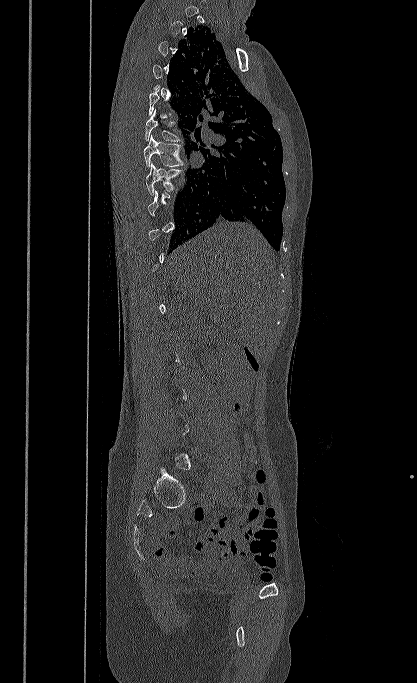 CT · sagittal view · 417 mm wide. Boxes are given in columns x1, y1, x2, y2, the pixel coordinates of their top-left and bottom-right corners.
A vertebra is boxed only from the first to the last slice where its cross-section is at least a third of its largest; slices outside that range leave it without a box.
| vertebra | x1 | y1 | x2 | y2 |
|---|---|---|---|---|
| T6 | 145 | 109 | 182 | 141 |
| T7 | 143 | 135 | 184 | 170 |
| T8 | 145 | 162 | 183 | 196 |